Computed tomography of the spine · sagittal reformat · bone-window reconstruction · image width 255 mm · 255x331 px · scan covers 6 annotated vertebrae
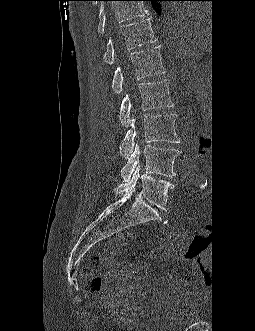 Each box given as x1,y1,x2,y2.
A vertebra cut off by the top edge of the scan is not labeled and has no box.
| vertebra | x1 | y1 | x2 | y2 |
|---|---|---|---|---|
| T12 | 103 | 18 | 156 | 64 |
| L1 | 112 | 45 | 165 | 94 |
| L2 | 119 | 79 | 173 | 127 |
| L3 | 120 | 114 | 179 | 158 |
| L4 | 120 | 143 | 180 | 181 |
| L5 | 113 | 165 | 174 | 210 |